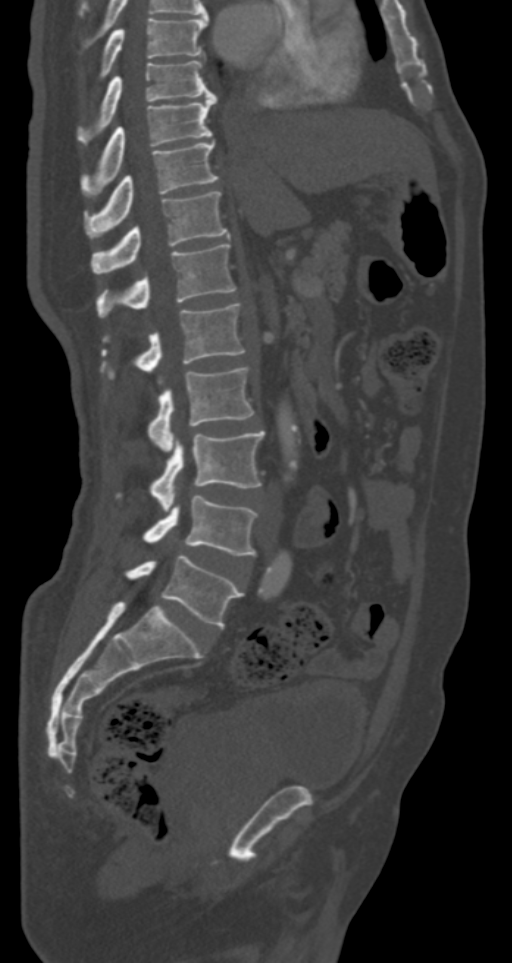
Computed tomography of the spine · sagittal reformat. Coordinates as <box>x1,y1,x2,y2</box>.
L5: <box>126,554,243,627</box>
L4: <box>144,496,257,555</box>
L3: <box>151,431,264,511</box>
L2: <box>148,367,254,452</box>
L1: <box>101,303,245,374</box>
T12: <box>96,244,236,316</box>
T11: <box>91,191,229,274</box>
T10: <box>85,141,218,236</box>
T9: <box>82,94,216,191</box>
T8: <box>76,60,213,145</box>
T7: <box>98,17,207,79</box>